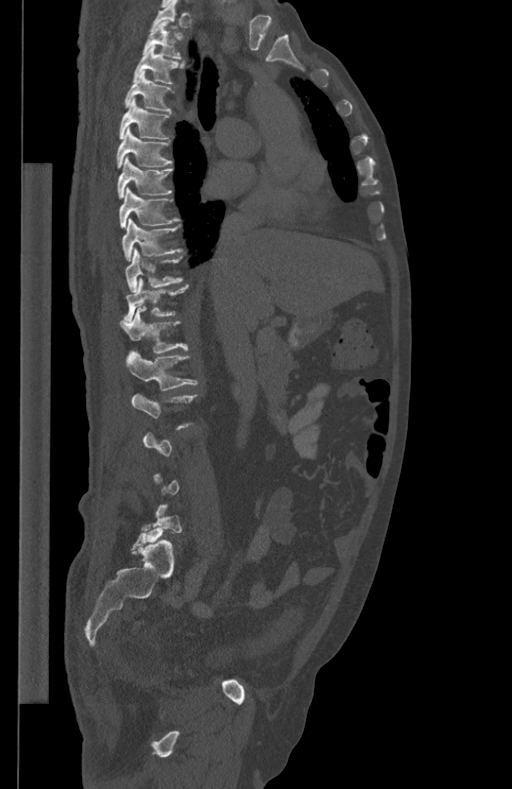 CT, spine; sagittal view; 434 mm across the image; bone-window reconstruction
Each vertebra is boxed only on the slices from the first to the last where its cross-section reaches a third of its largest, so a slice outside that range leaves it unboxed.
<vertebrae><v name="T2" x1="143" y1="20" x2="182" y2="58"/><v name="T3" x1="133" y1="46" x2="184" y2="84"/><v name="T4" x1="124" y1="70" x2="172" y2="110"/><v name="T5" x1="119" y1="98" x2="172" y2="139"/><v name="T6" x1="117" y1="127" x2="172" y2="168"/><v name="T7" x1="117" y1="156" x2="172" y2="198"/><v name="T8" x1="119" y1="187" x2="180" y2="227"/><v name="T9" x1="121" y1="218" x2="183" y2="260"/><v name="T10" x1="125" y1="248" x2="182" y2="292"/><v name="T11" x1="124" y1="278" x2="189" y2="322"/><v name="T12" x1="120" y1="307" x2="188" y2="353"/><v name="L1" x1="126" y1="351" x2="197" y2="391"/></vertebrae>